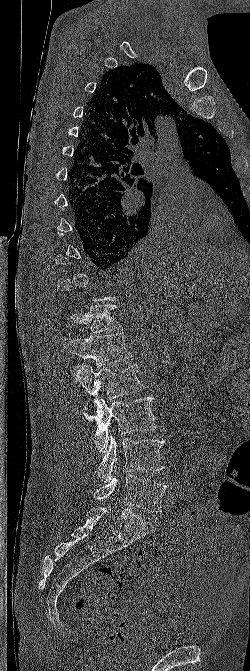
Spine computed tomography; sagittal reformat; W/L 1800/400 HU
Box edges are left/top/right/bottom in pixels.
A vertebra gets a box only on the slices from the first to the last where its cross-section is at least a third of its largest; on a slice outside that range it gets none.
| vertebra | x1 | y1 | x2 | y2 |
|---|---|---|---|---|
| T12 | 67 | 304 | 121 | 333 |
| L1 | 63 | 332 | 133 | 366 |
| L2 | 72 | 363 | 145 | 408 |
| L3 | 84 | 396 | 156 | 452 |
| L4 | 97 | 435 | 164 | 482 |
| L5 | 93 | 475 | 166 | 512 |